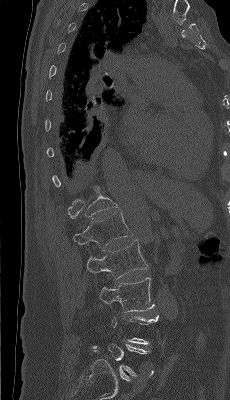
CT spine — sagittal view — Bone window (WL 400, WW 1800)
Boxes are (x1, y1, x2, y2) in pixels.
Each vertebra is boxed only on the slices from the first to the last where its cross-section reaches a third of its largest, so a slice outside that range leaves it unboxed.
L3: (99, 277, 155, 312)
L2: (86, 240, 148, 279)
L1: (73, 212, 132, 249)